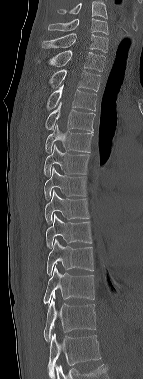
CT spine · sagittal view
Each box given as x1,y1,x2,y2.
The highest labeled vertebra in this scan is C6; the lowest is T12.
| vertebra | x1 | y1 | x2 | y2 |
|---|---|---|---|---|
| T12 | 43 | 299 | 96 | 342 |
| T11 | 43 | 266 | 94 | 304 |
| T10 | 47 | 239 | 93 | 276 |
| T9 | 45 | 214 | 92 | 249 |
| T8 | 45 | 190 | 89 | 224 |
| T7 | 44 | 167 | 87 | 200 |
| T6 | 44 | 145 | 89 | 176 |
| T5 | 45 | 124 | 94 | 153 |
| T4 | 45 | 102 | 95 | 133 |
| T3 | 46 | 85 | 96 | 111 |
| T2 | 49 | 69 | 100 | 91 |
| T1 | 37 | 50 | 105 | 71 |
| C7 | 42 | 33 | 108 | 52 |
| C6 | 48 | 18 | 108 | 34 |